CT, spine — image width 190 mm — Sagittal slice 234/512 — bone window — scan covers 12 annotated vertebrae
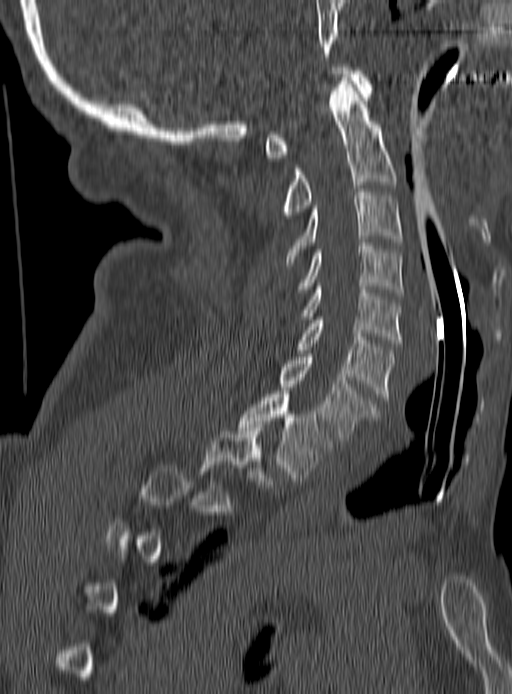 Each box given as x1,y1,x2,y2.
Not every vertebra on this slice has a box: a vertebra is boxed only from the first to the last slice where its cross-section is at least a third of its largest, and this slice is outside that range for at least one of them.
Vertebra bounding boxes:
- C1: x1=265, y1=67, x2=373, y2=161
- C2: x1=281, y1=77, x2=396, y2=218
- C3: x1=286, y1=189, x2=401, y2=265
- C4: x1=295, y1=243, x2=404, y2=295
- C5: x1=300, y1=283, x2=401, y2=343
- C6: x1=297, y1=317, x2=393, y2=400
- C7: x1=278, y1=354, x2=377, y2=440
- T1: x1=238, y1=391, x2=331, y2=481
- T2: x1=200, y1=424, x2=277, y2=487